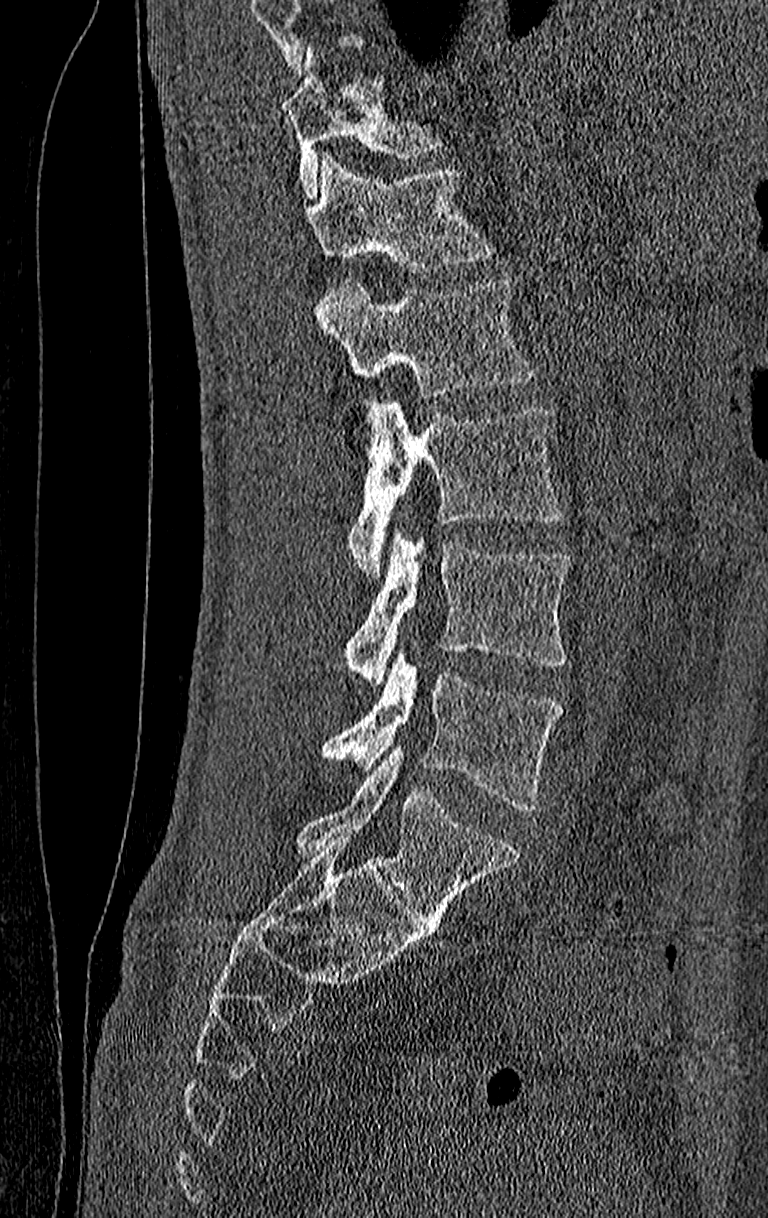

Spine computed tomography — sagittal reformat — 210 mm wide

In the table, x1 and y1 are a box's top-left corner and x2 and y2 its bottom-right corner, in pixels.
No box is given to a vertebra that the top edge of the scan cuts off.
In this scan, the topmost labeled vertebra is T11 and the lowest is L4.
| vertebra | x1 | y1 | x2 | y2 |
|---|---|---|---|---|
| L4 | 320 | 652 | 565 | 812 |
| L3 | 346 | 528 | 572 | 684 |
| L2 | 346 | 403 | 565 | 573 |
| L1 | 313 | 278 | 532 | 399 |
| T12 | 302 | 158 | 495 | 274 |
| T11 | 280 | 53 | 444 | 193 |